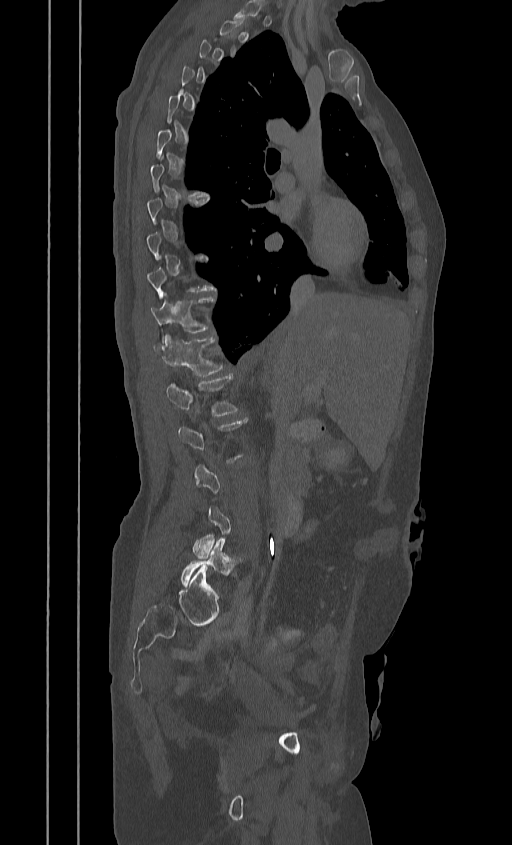

Spine computed tomography. sagittal view. 512x845 px
Bounding boxes as [x1, y1, x2, y2] in pixel coordinates.
Not every vertebra on this slice has a box: a vertebra is boxed only from the first to the last slice where its cross-section is at least a third of its largest, and this slice is outside that range for at least one of them.
L5: [180, 539, 241, 586]
L1: [166, 375, 237, 416]
T12: [153, 335, 224, 376]
T11: [150, 293, 215, 336]